Spine computed tomography; Sagittal slice 255/512; 537x596 px
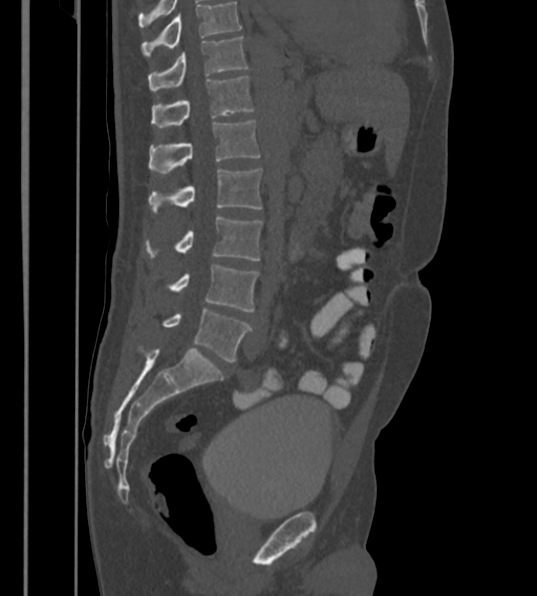

Each row gives a vertebra's box as x1, y1, x2, y2 in pixels: top-left corner, then bottom-right corner.
Labels in this scan begin with T12 at the top and end with L6 at the bottom.
In these labels the spine has an L6, a sixth lumbar vertebra below L5.
| vertebra | x1 | y1 | x2 | y2 |
|---|---|---|---|---|
| L6 | 163 | 309 | 252 | 361 |
| L5 | 168 | 265 | 259 | 311 |
| L4 | 145 | 216 | 262 | 260 |
| L3 | 149 | 169 | 261 | 214 |
| L2 | 149 | 120 | 260 | 174 |
| L1 | 151 | 76 | 254 | 128 |
| T12 | 148 | 36 | 248 | 90 |